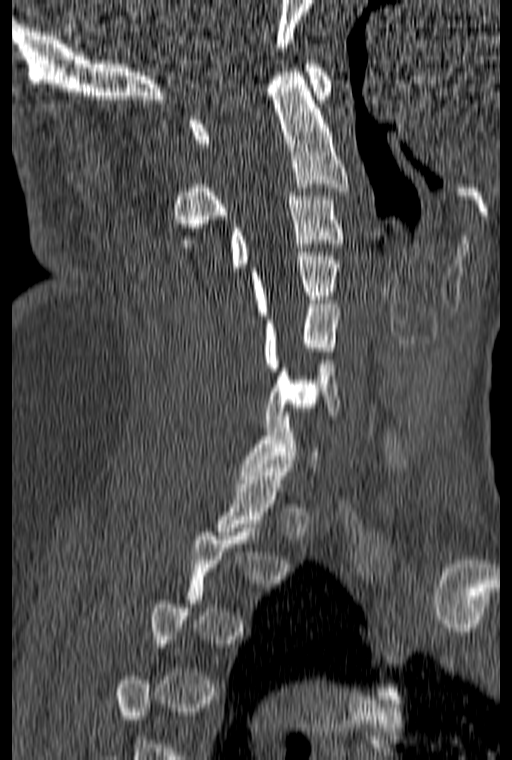 CT spine; sagittal view; 512x760 px
Each vertebra maps to its box as [x1, y1, x2, y2], the pixel coordinates of its top-left and bottom-right corners.
Not every vertebra on this slice has a box: a vertebra is boxed only from the first to the last slice where its cross-section is at least a third of its largest, and this slice is outside that range for at least one of them.
{"vertebrae":{"C1":[189,60,332,147],"C2":[173,68,349,247],"C3":[229,192,343,271],"C4":[251,252,339,319],"C5":[264,300,339,371],"C6":[264,356,340,427]}}